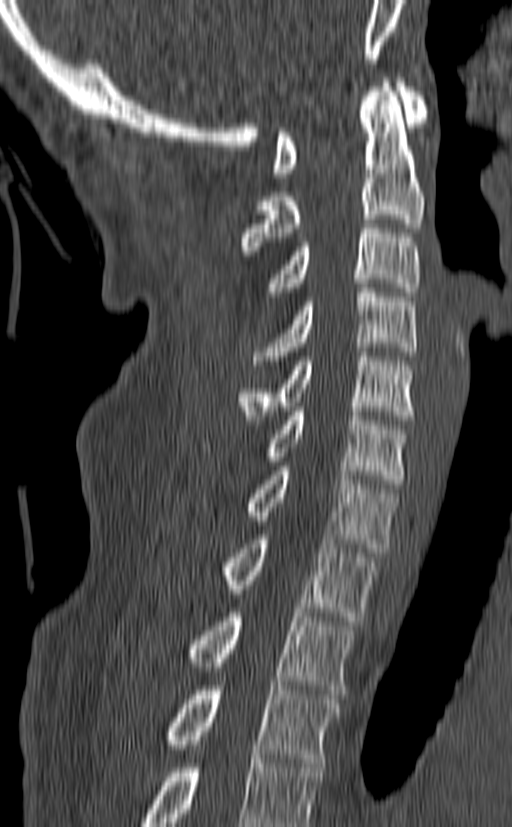 CT spine · sagittal view · 512x827 px
Coordinates as <box>x1,y1,x2,y2</box>. Labels in this scan begin with C1 at the top and end with T3 at the bottom. The labeled vertebrae in this slice are: C1 at <box>272,78,428,177</box>, C2 at <box>241,78,425,250</box>, C3 at <box>266,219,421,296</box>, C4 at <box>254,283,417,365</box>, C5 at <box>238,352,414,424</box>, C6 at <box>202,407,410,488</box>, C7 at <box>246,466,399,552</box>, T1 at <box>221,535,377,621</box>, T2 at <box>184,608,355,694</box>, T3 at <box>162,686,340,767</box>.